CT spine · sagittal reformat
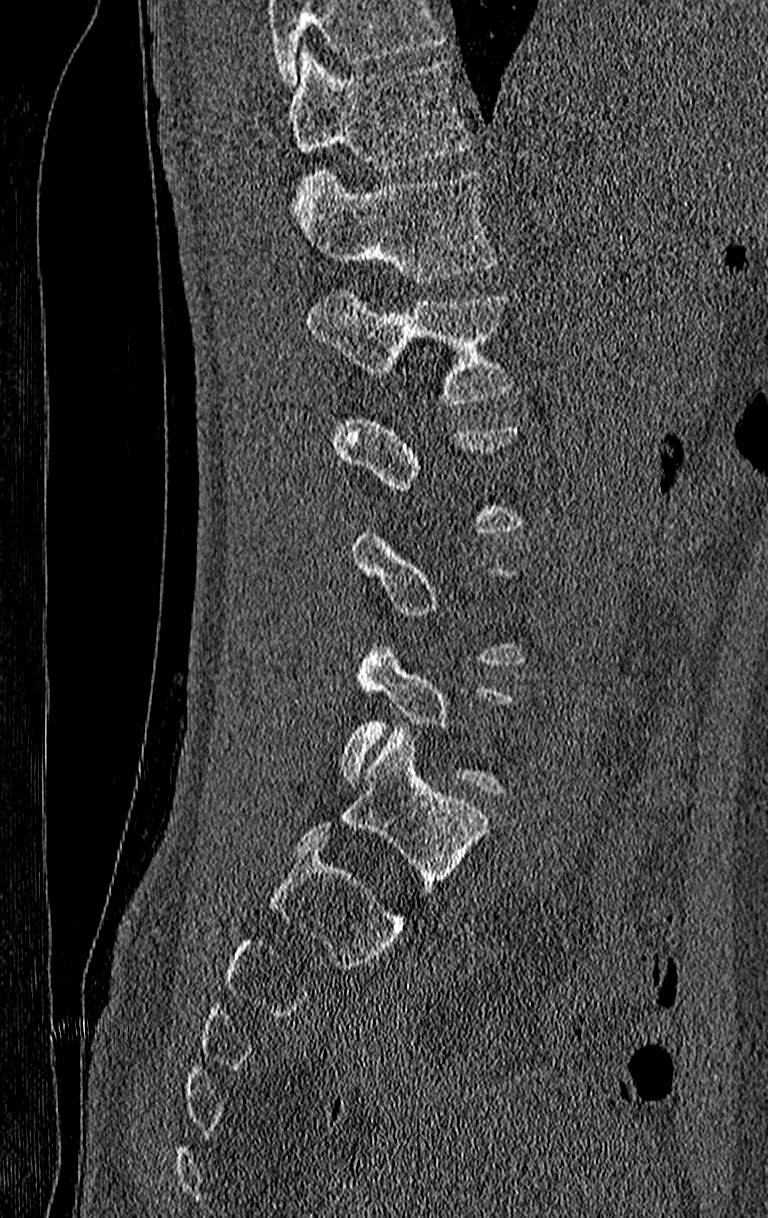
Each box is [x1, y1, x2, y2] in pixels: top-left corner, then bottom-right corner.
Each vertebra is boxed only on the slices from the first to the last where its cross-section reaches a third of its largest, so a slice outside that range leaves it unboxed.
No box is given to a vertebra that the top edge of the scan cuts off.
Labels in this scan begin with T11 at the top and end with L4 at the bottom.
{"vertebrae":{"T11":[288,48,473,172],"T12":[299,170,499,282],"L1":[306,290,513,405],"L4":[339,645,513,797]}}